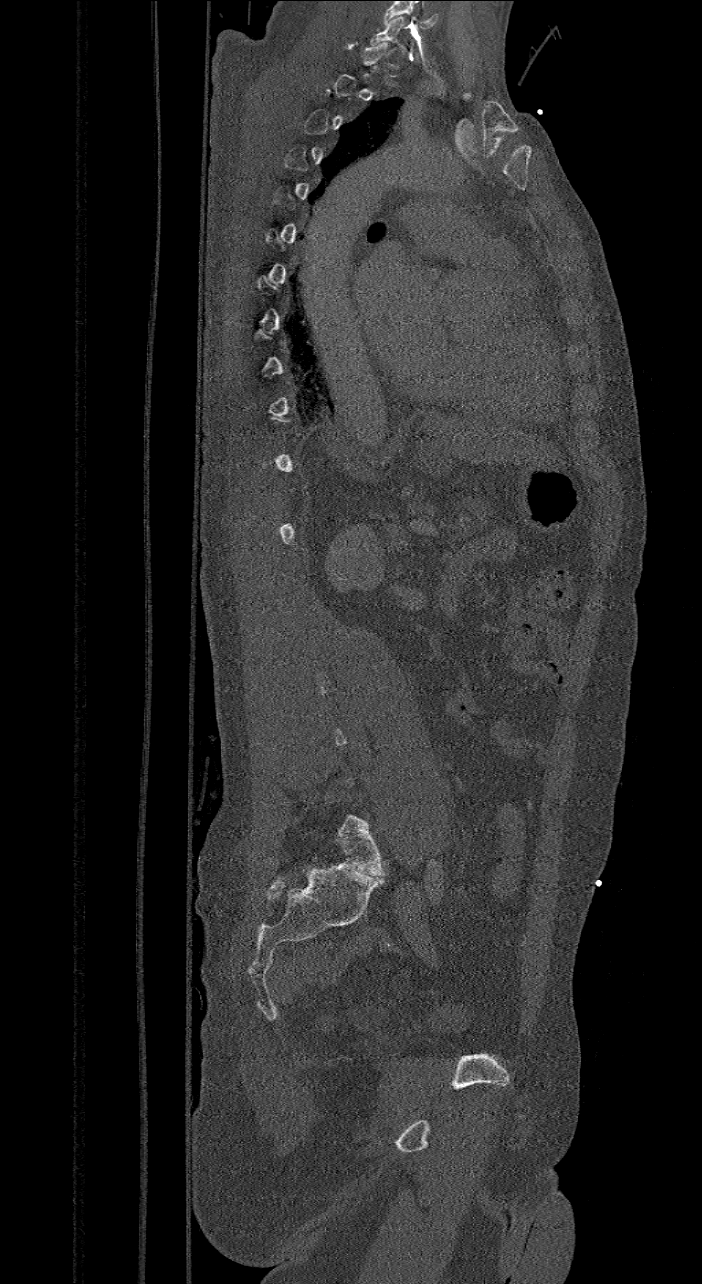

Computed tomography of the spine · sagittal view · bone-window reconstruction

Each vertebra is boxed only on the slices from the first to the last where its cross-section reaches a third of its largest, so a slice outside that range leaves it unboxed.
These labels give the spine a sixth lumbar vertebra, L6, below L5.
<vertebrae><v name="C7" x1="369" y1="16" x2="406" y2="53"/><v name="L6" x1="337" y1="814" x2="385" y2="876"/></vertebrae>